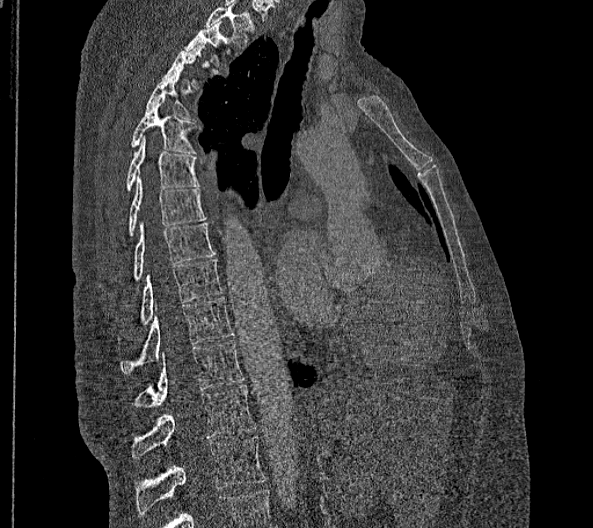 CT spine; sagittal view; image width 356 mm; 593x528 px
Box edges are left/top/right/bottom in pixels. Each vertebra is boxed only on the slices from the first to the last where its cross-section reaches a third of its largest, so a slice outside that range leaves it unboxed. This scan's labels start at T2 at the top and end at L2 at the bottom. In these labels the thoracic vertebrae end at T11, so L1 follows T11. 11 vertebrae labeled — T2 at left=183, top=21, right=231, bottom=64; T4 at left=145, top=72, right=194, bottom=119; T5 at left=131, top=97, right=196, bottom=153; T6 at left=126, top=135, right=198, bottom=191; T7 at left=129, top=175, right=205, bottom=236; T8 at left=133, top=220, right=216, bottom=281; T9 at left=117, top=259, right=221, bottom=344; T10 at left=119, top=297, right=234, bottom=373; T11 at left=131, top=340, right=244, bottom=407; L1 at left=131, top=385, right=255, bottom=459; L2 at left=136, top=437, right=266, bottom=514.